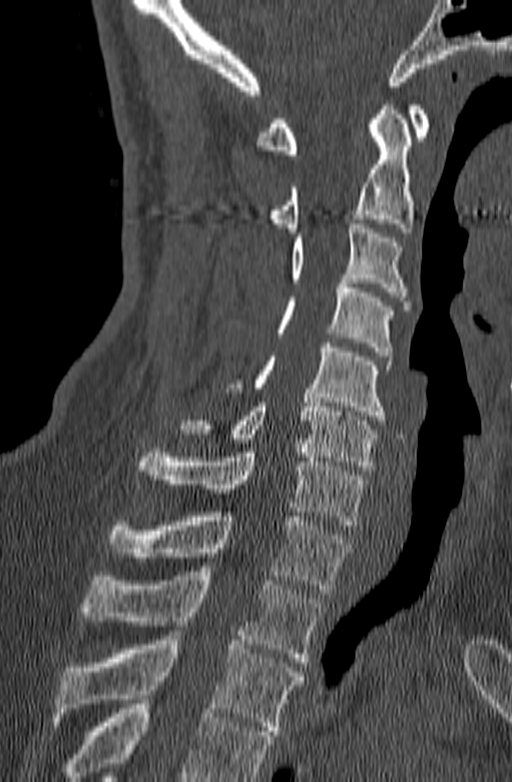 Computed tomography of the spine. image 140 mm wide. sagittal view. 512x782 px

Boxes are given in columns x1, y1, x2, y2, the pixel coordinates of their top-left and bottom-right corners.
Vertebrae that run past the bottom of the scan are left unlabeled.
| vertebra | x1 | y1 | x2 | y2 |
|---|---|---|---|---|
| T3 | 53 | 631 | 304 | 735 |
| T2 | 81 | 571 | 320 | 662 |
| T1 | 107 | 512 | 351 | 593 |
| C7 | 136 | 448 | 366 | 525 |
| C6 | 178 | 398 | 377 | 470 |
| C5 | 225 | 343 | 391 | 420 |
| C4 | 276 | 279 | 392 | 356 |
| C3 | 290 | 219 | 410 | 310 |
| C2 | 268 | 105 | 414 | 232 |
| C1 | 257 | 105 | 429 | 154 |